CT, spine · sagittal reformat
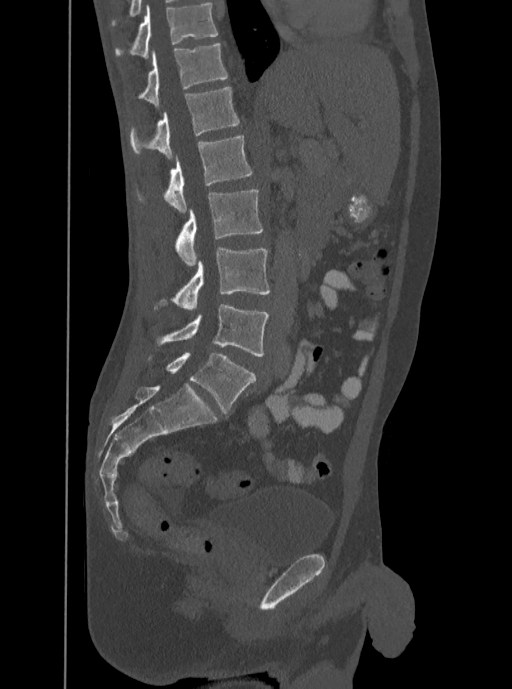

Each box given as x1,y1,x2,y2.
The highest labeled vertebra in this scan is T12; the lowest is L5.
Vertebra bounding boxes:
- T12: x1=138, y1=43, x2=227, y2=107
- L1: x1=130, y1=86, x2=239, y2=158
- L2: x1=139, y1=136, x2=252, y2=212
- L3: x1=175, y1=190, x2=262, y2=265
- L4: x1=161, y1=246, x2=269, y2=310
- L5: x1=155, y1=304, x2=268, y2=356